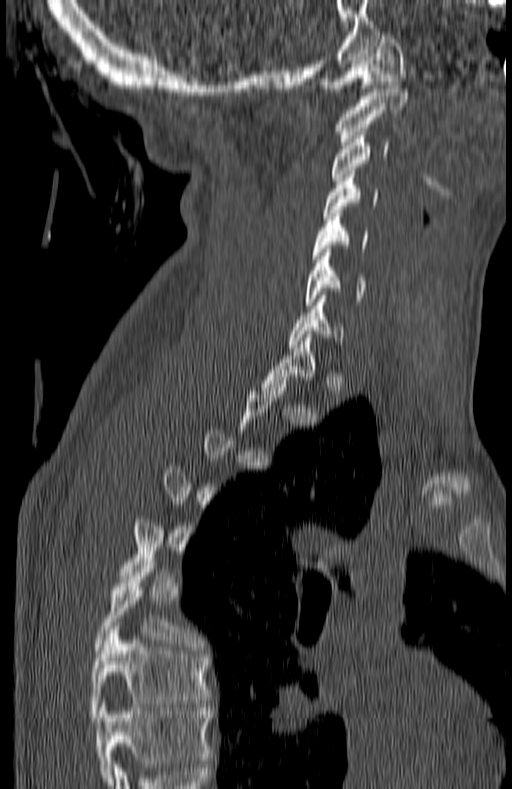 CT spine. sagittal view. bone window. 180 mm across the image
A vertebra gets a box only on the slices from the first to the last where its cross-section is at least a third of its largest; on a slice outside that range it gets none.
In this scan, the topmost labeled vertebra is C1 and the lowest is T7.
<vertebrae><v name="C1" x1="322" y1="32" x2="406" y2="91"/><v name="C2" x1="337" y1="85" x2="407" y2="141"/><v name="C3" x1="331" y1="132" x2="390" y2="184"/><v name="C4" x1="322" y1="171" x2="378" y2="219"/><v name="C5" x1="311" y1="210" x2="368" y2="259"/><v name="C6" x1="305" y1="249" x2="364" y2="305"/><v name="C7" x1="288" y1="295" x2="344" y2="347"/><v name="T6" x1="93" y1="558" x2="199" y2="653"/><v name="T7" x1="89" y1="626" x2="209" y2="721"/></vertebrae>